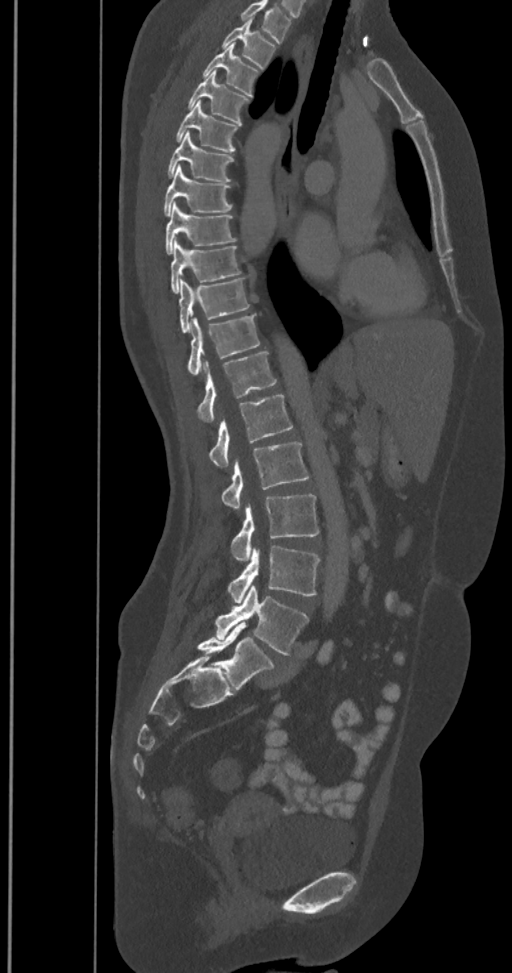 Computed tomography of the spine. sagittal view. image width 350 mm. bone window

Each box given as x1,y1,x2,y2.
Labels in this scan begin with T2 at the top and end with L6 at the bottom.
The labels name a sixth lumbar vertebra for this spine: L6, after L5.
T2: x1=222, y1=18, x2=275, y2=70
T3: x1=202, y1=42, x2=259, y2=98
T4: x1=187, y1=71, x2=250, y2=125
T5: x1=175, y1=100, x2=239, y2=152
T6: x1=167, y1=132, x2=233, y2=182
T7: x1=164, y1=166, x2=233, y2=216
T8: x1=165, y1=203, x2=236, y2=254
T9: x1=171, y1=238, x2=240, y2=294
T10: x1=178, y1=278, x2=249, y2=333
T11: x1=187, y1=313, x2=259, y2=376
T12: x1=197, y1=352, x2=277, y2=420
L1: x1=209, y1=394, x2=293, y2=468
L2: x1=221, y1=442, x2=309, y2=510
L3: x1=231, y1=494, x2=319, y2=561
L4: x1=228, y1=546, x2=319, y2=603
L5: x1=215, y1=586, x2=309, y2=655
L6: x1=197, y1=623, x2=274, y2=690